Computed tomography of the spine; sagittal view; the image spans 190 mm across; bone-window reconstruction; 512x694 px; scan covers 12 annotated vertebrae
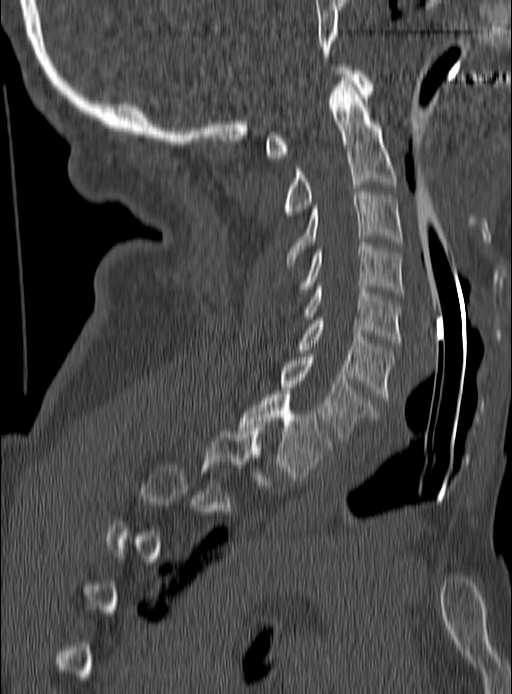 Boxes: x1 y1 x2 y2 (pixel coords, space-separated).
A vertebra is boxed only from the first to the last slice where its cross-section is at least a third of its largest; slices outside that range leave it without a box.
C1: 266 67 374 157
C2: 284 77 396 215
C3: 286 189 401 265
C4: 301 243 404 295
C5: 305 283 401 343
C6: 300 317 393 400
C7: 281 357 374 440
T1: 241 391 329 477